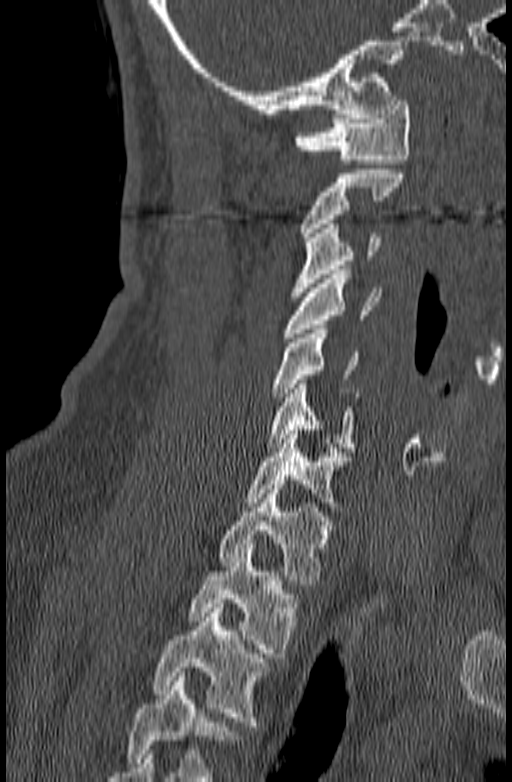

CT spine; sagittal view; W/L 1800/400 HU

Each box is [x1, y1, x2, y2] in pixels: top-left corner, then bottom-right corner.
No box is given to a vertebra that the bottom edge of the scan cuts off.
{"vertebrae":{"C1":[294,96,410,164],"C2":[300,169,404,241],"C3":[290,224,380,296],"C4":[283,270,382,337],"C5":[272,329,359,401],"C6":[267,379,361,452],"C7":[243,430,350,516],"T1":[217,485,334,584],"T2":[188,544,300,657],"T3":[153,603,272,726]}}